CT · image width 446 mm · sagittal plane, index 242
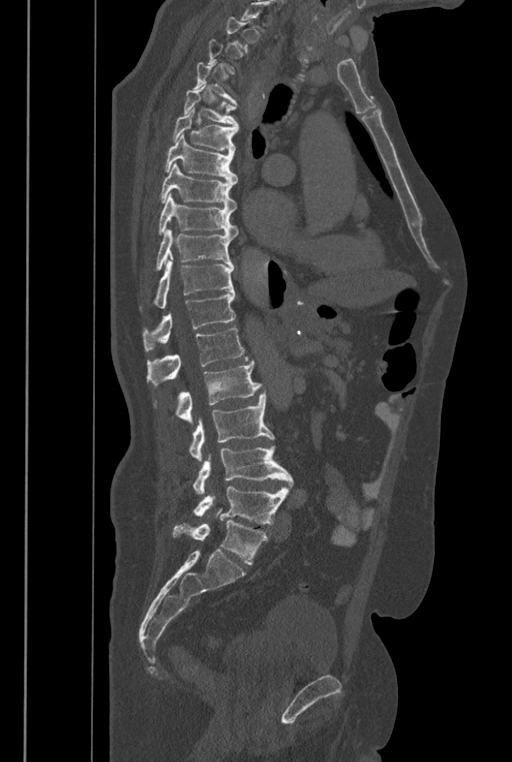

Bounding boxes as [x1, y1, x2, y2] in pixel coordinates. Not every vertebra on this slice has a box: a vertebra is boxed only from the first to the last slice where its cross-section is at least a third of its largest, and this slice is outside that range for at least one of them. The labels name a sixth lumbar vertebra for this spine: L6, after L5. 15 vertebrae labeled — T4 at [193, 61, 237, 105]; T5 at [183, 84, 238, 129]; T6 at [173, 107, 238, 153]; T7 at [164, 133, 238, 182]; T8 at [161, 163, 237, 210]; T9 at [158, 193, 237, 238]; T10 at [156, 229, 233, 270]; T11 at [154, 259, 234, 308]; T12 at [142, 291, 235, 351]; L1 at [147, 328, 248, 385]; L2 at [154, 360, 262, 423]; L3 at [188, 390, 274, 461]; L4 at [193, 445, 293, 494]; L5 at [193, 486, 288, 524]; L6 at [173, 508, 268, 564].